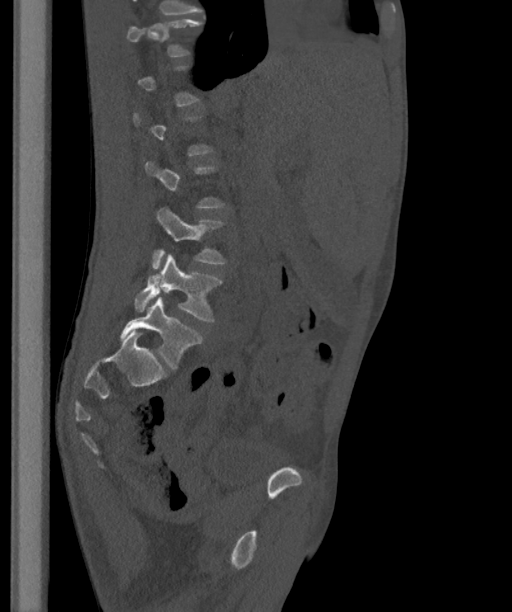 CT, spine. 363 mm wide. sagittal view
Each vertebra maps to its box as [x1, y1, x2, y2], the pixel coordinates of its top-left and bottom-right corners.
Each vertebra is boxed only on the slices from the first to the last where its cross-section reaches a third of its largest, so a slice outside that range leaves it unboxed.
In these labels the spine has an L6, a sixth lumbar vertebra below L5.
{"vertebrae":{"L4":[152,206,224,269],"L5":[134,254,222,321],"L6":[119,297,202,368]}}